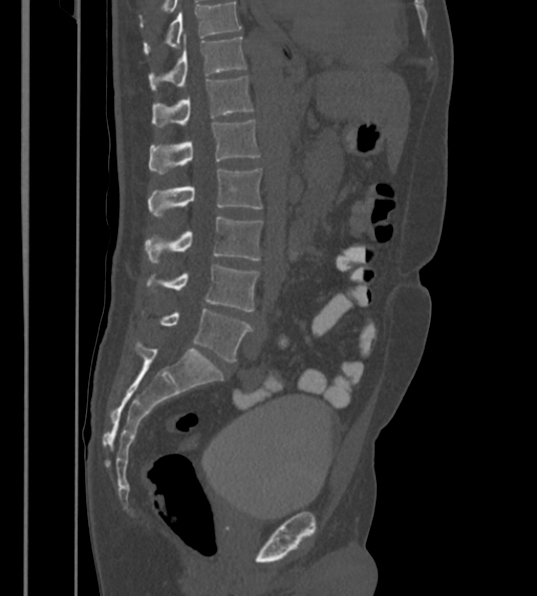

CT · sagittal view · Bone window (WL 400, WW 1800)
Bounding boxes as [x1, y1, x2, y2] in pixel coordinates. This scan's labels start at T12 at the top and end at L6 at the bottom. In these labels the spine has an L6, a sixth lumbar vertebra below L5. Vertebrae labeled: T12 at [150, 36, 247, 89], L1 at [152, 76, 253, 126], L2 at [149, 120, 260, 174], L3 at [148, 169, 261, 218], L4 at [145, 216, 262, 264], L5 at [146, 264, 259, 311], L6 at [142, 309, 252, 363].